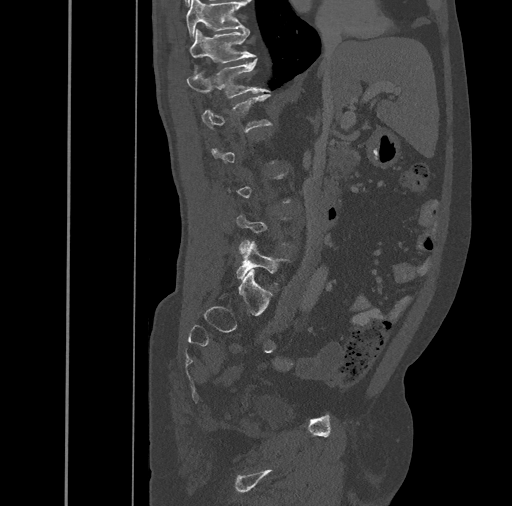
Spine computed tomography. sagittal view. bone-window reconstruction
Coordinates as <box>x1,y1,x2,y2</box>.
A vertebra is boxed only from the first to the last slice where its cross-section is at least a third of its largest; slices outside that range leave it without a box.
T10: <box>186,0,245,40</box>
T11: <box>189,29,254,63</box>
T12: <box>187,58,270,98</box>
L1: <box>201,94,273,132</box>
L5: <box>236,241,287,284</box>